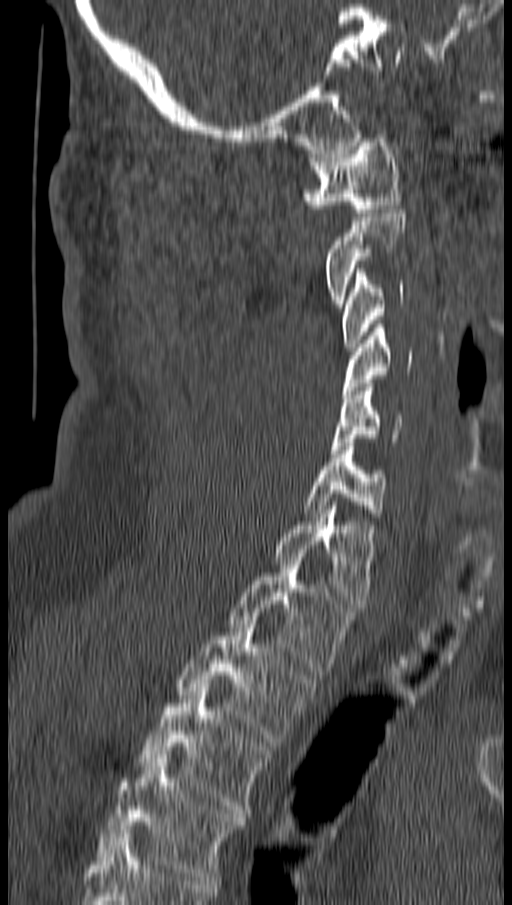 Spine computed tomography · sagittal view · Bone window (WL 400, WW 1800) · 512x905 px
Not every vertebra on this slice has a box: a vertebra is boxed only from the first to the last slice where its cross-section is at least a third of its largest, and this slice is outside that range for at least one of them.
<vertebrae><v name="C1" x1="304" y1="138" x2="400" y2="216"/><v name="C3" x1="342" y1="269" x2="405" y2="351"/><v name="C4" x1="342" y1="324" x2="412" y2="398"/><v name="C5" x1="330" y1="383" x2="401" y2="453"/><v name="C6" x1="304" y1="442" x2="386" y2="517"/><v name="C7" x1="276" y1="502" x2="373" y2="611"/><v name="T1" x1="229" y1="557" x2="351" y2="675"/><v name="T2" x1="178" y1="620" x2="313" y2="742"/><v name="T3" x1="140" y1="687" x2="269" y2="817"/><v name="T4" x1="99" y1="755" x2="243" y2="884"/></vertebrae>